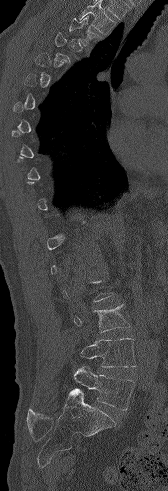

CT spine — sagittal view
Each row gives a vertebra's box as x1, y1, x2, y2 in pixels: top-left corner, then bottom-right corner.
Not every vertebra on this slice has a box: a vertebra is boxed only from the first to the last slice where its cross-section is at least a third of its largest, and this slice is outside that range for at least one of them.
Where the top of the scan cuts through a vertebra, that vertebra gets no label or box.
| vertebra | x1 | y1 | x2 | y2 |
|---|---|---|---|---|
| T3 | 69 | 16 | 95 | 45 |
| L3 | 73 | 304 | 130 | 332 |
| L4 | 80 | 338 | 136 | 367 |
| L5 | 74 | 367 | 135 | 410 |